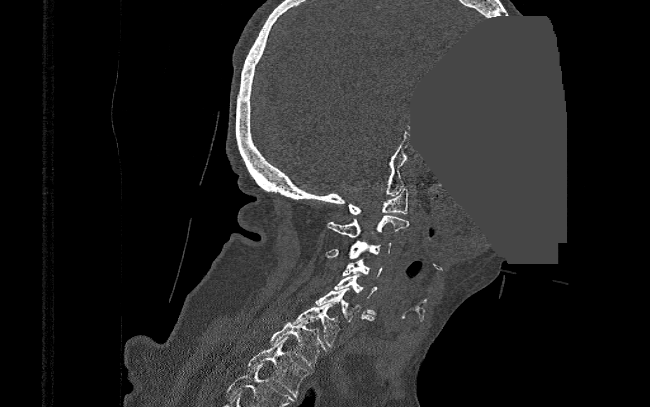 CT, spine; sagittal view; 650x407 px; a region is masked with a constant gray value

Each box is [x1, y1, x2, y2] in pixels: top-left corner, then bottom-right corner.
{"vertebrae":{"C1":[348,188,408,214],"C2":[326,215,409,237],"C3":[325,241,391,258],"C4":[343,259,382,276],"C5":[333,273,376,315],"C6":[315,288,375,321],"C7":[291,302,342,346],"T1":[270,319,325,368],"T2":[248,337,309,397]}}